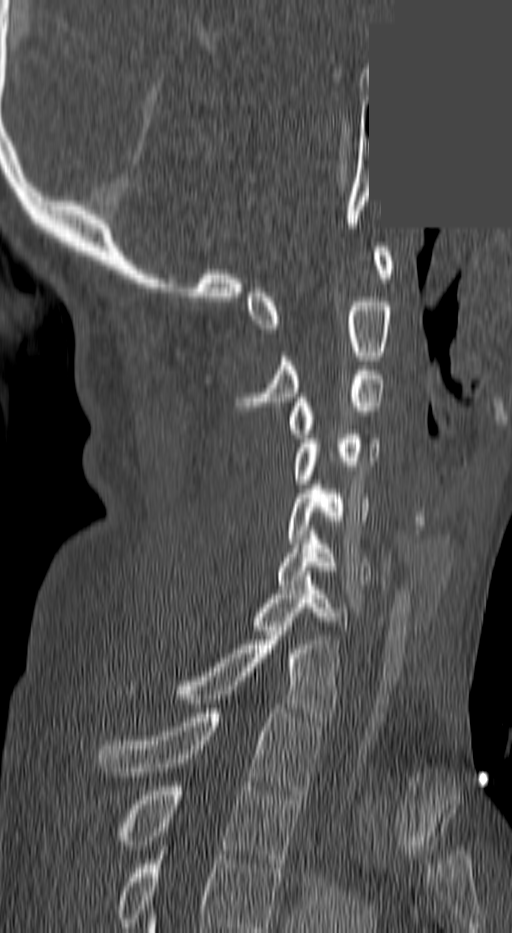

Spine CT — sagittal view — bone window — a region is masked with a constant gray value

Bounding boxes as [x1, y1, x2, y2] in pixel coordinates. The highest labeled vertebra in this scan is C1; the lowest is T3. The labeled vertebrae in this slice are: C1 at [246, 247, 392, 333], C2 at [243, 302, 392, 410], C3 at [287, 370, 384, 438], C4 at [292, 430, 377, 484], C5 at [288, 480, 370, 548], C6 at [279, 535, 371, 584], C7 at [254, 576, 351, 630], T1 at [181, 631, 339, 721], T2 at [96, 709, 320, 794], T3 at [122, 786, 297, 868].